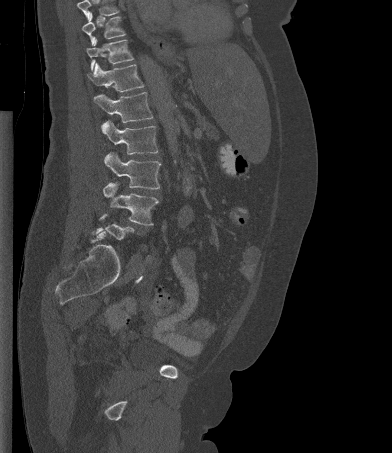 Computed tomography of the spine — sagittal view — 392x453 px
Not every vertebra on this slice has a box: a vertebra is boxed only from the first to the last slice where its cross-section is at least a third of its largest, and this slice is outside that range for at least one of them.
No box is given to a vertebra that the top edge of the scan cuts off.
<vertebrae><v name="L4" x1="103" y1="182" x2="158" y2="225"/><v name="L3" x1="104" y1="152" x2="161" y2="189"/><v name="L2" x1="101" y1="120" x2="158" y2="154"/><v name="L1" x1="94" y1="92" x2="153" y2="123"/><v name="T12" x1="87" y1="63" x2="144" y2="92"/><v name="T11" x1="86" y1="39" x2="133" y2="70"/><v name="T10" x1="82" y1="12" x2="125" y2="44"/></vertebrae>